CT, spine — 165 mm image width — sagittal reformat — 512x780 px
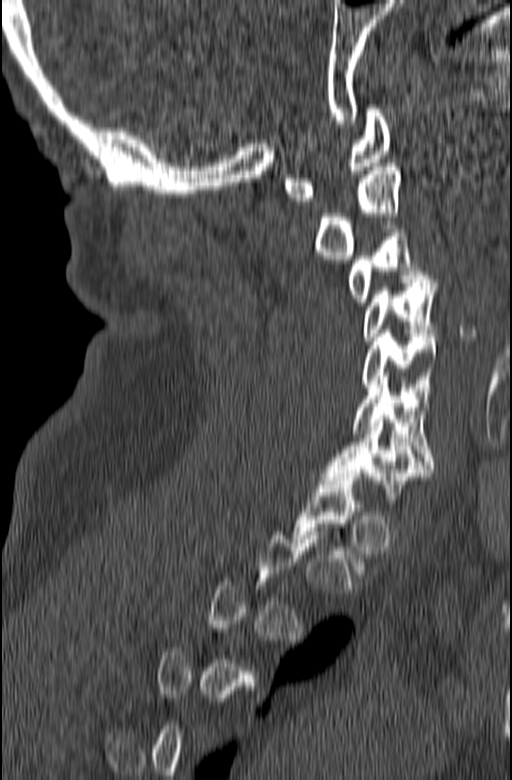

Boxes below are [x1, y1, x2, y2] in pixels.
Not every vertebra on this slice has a box: a vertebra is boxed only from the first to the last slice where its cross-section is at least a third of its largest, and this slice is outside that range for at least one of them.
{"vertebrae":{"C7":[321,419,434,507],"C6":[352,376,434,468],"C5":[361,330,438,391],"C4":[361,275,437,340],"C3":[349,225,426,305],"C2":[314,163,401,259],"C1":[283,105,391,205]}}